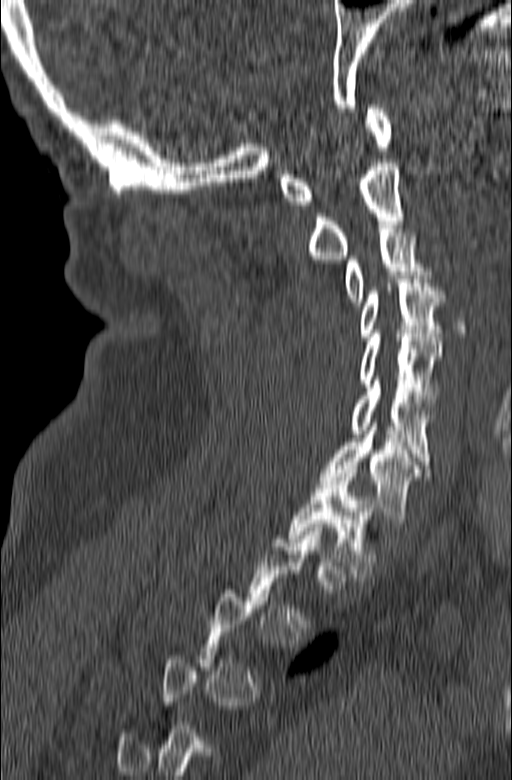

CT; sagittal view; 165 mm across the image; W/L 1800/400 HU
Boxes: x1 y1 x2 y2 (pixel coords, space-separated). Not every vertebra on this slice has a box: a vertebra is boxed only from the first to the last slice where its cross-section is at least a third of its largest, and this slice is outside that range for at least one of them. The labeled vertebrae in this slice are: C1 at 280 105 391 205, C2 at 308 159 404 259, C3 at 345 225 431 305, C4 at 358 275 444 340, C5 at 358 330 441 402, C6 at 352 380 434 468, C7 at 319 419 432 523, T1 at 288 469 375 581.